Computed tomography of the spine. sagittal view
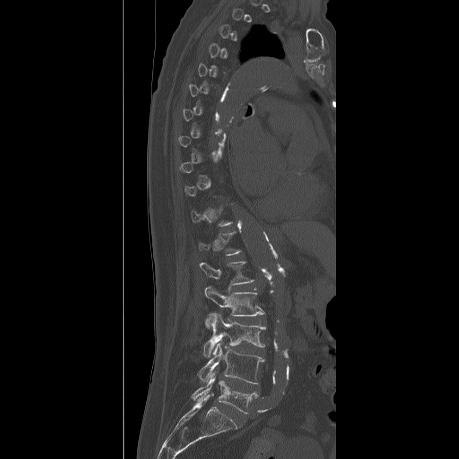

Box edges are left/top/right/bottom in pixels.
Each vertebra is boxed only on the slices from the first to the last where its cross-section reaches a third of its largest, so a slice outside that range leaves it unboxed.
L1: left=199, top=261, right=254, bottom=284
L2: left=204, top=286, right=264, bottom=328
L3: left=203, top=313, right=265, bottom=357
L4: left=198, top=342, right=264, bottom=383
L5: left=192, top=372, right=257, bottom=413